Computed tomography of the spine; Sagittal slice 221/512; W/L 1800/400 HU; 593x528 px
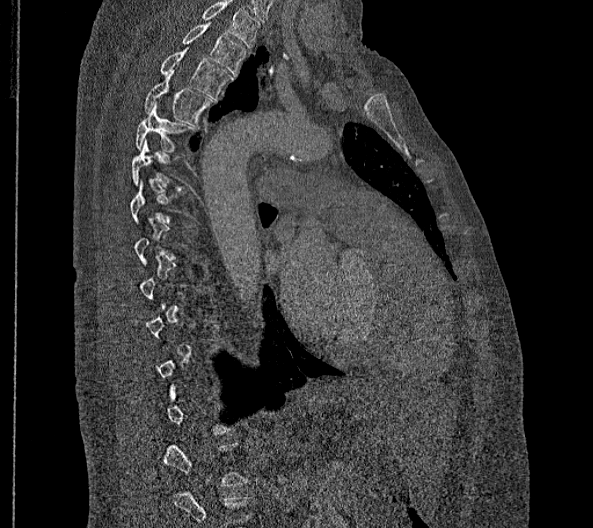

Each vertebra is boxed only on the slices from the first to the last where its cross-section reaches a third of its largest, so a slice outside that range leaves it unboxed.
Labels in this scan begin with T2 at the top and end with L2 at the bottom.
<vertebrae><v name="T2" x1="182" y1="23" x2="247" y2="76"/><v name="T3" x1="160" y1="46" x2="231" y2="99"/><v name="T4" x1="143" y1="71" x2="212" y2="126"/><v name="T5" x1="136" y1="103" x2="190" y2="151"/><v name="T6" x1="131" y1="138" x2="183" y2="189"/></vertebrae>